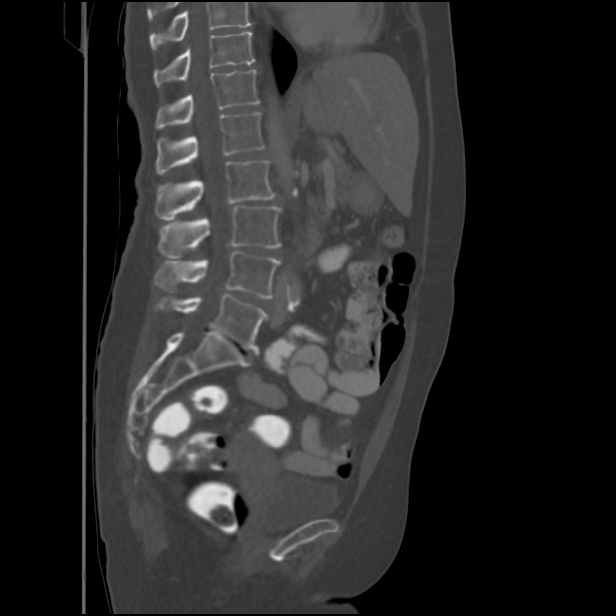 Computed tomography of the spine; sagittal view; Bone window (WL 400, WW 1800); 616x616 px; the image spans 434 mm across. Each box given as x1,y1,x2,y2.
A vertebra cut off by the top edge of the scan is not labeled and has no box.
| vertebra | x1 | y1 | x2 | y2 |
|---|---|---|---|---|
| L5 | 154 | 294 | 268 | 351 |
| L4 | 154 | 250 | 280 | 297 |
| L3 | 158 | 205 | 280 | 258 |
| L2 | 155 | 161 | 275 | 219 |
| L1 | 155 | 113 | 265 | 174 |
| T12 | 155 | 70 | 259 | 129 |
| T11 | 154 | 32 | 255 | 86 |